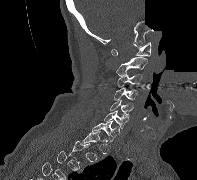

CT; sagittal view; W/L 1800/400 HU; a portion of the image is blanked out (constant pixel value)

Boxes are (x1, y1, x2, y2) in pixels.
A vertebra is boxed only from the first to the last slice where its cross-section is at least a third of its largest; slices outside that range leave it without a box.
Vertebra bounding boxes:
- C7: (92, 121, 119, 141)
- C6: (104, 110, 128, 128)
- C5: (110, 100, 133, 115)
- C4: (114, 88, 137, 100)
- C3: (117, 73, 142, 87)
- C2: (116, 57, 147, 75)
- C1: (111, 42, 150, 56)